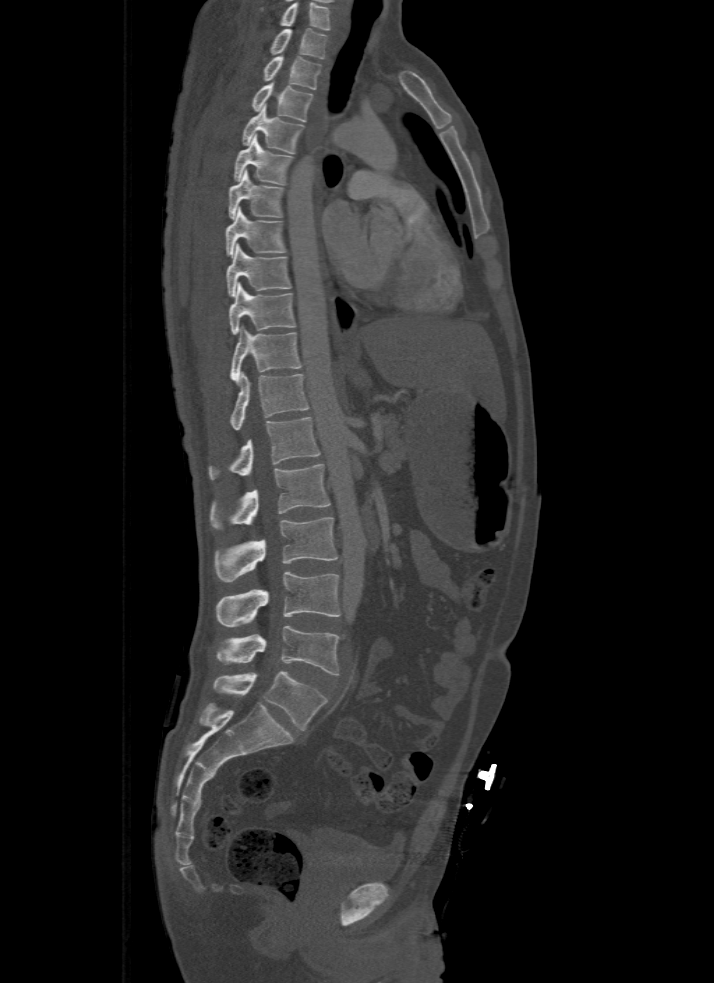 CT, spine · sagittal view · 500 mm wide · 714x983 px. Each box given as x1,y1,x2,y2.
Labels in this scan begin with T1 at the top and end with L5 at the bottom.
Vertebra bounding boxes:
- T1: x1=271, y1=29, x2=328, y2=58
- T2: x1=262, y1=55, x2=320, y2=89
- T3: x1=251, y1=82, x2=311, y2=121
- T4: x1=241, y1=105, x2=303, y2=152
- T5: x1=233, y1=135, x2=293, y2=185
- T6: x1=229, y1=168, x2=282, y2=218
- T7: x1=226, y1=206, x2=286, y2=257
- T8: x1=226, y1=243, x2=291, y2=297
- T9: x1=229, y1=282, x2=295, y2=334
- T10: x1=230, y1=326, x2=302, y2=384
- T11: x1=230, y1=372, x2=309, y2=429
- T12: x1=208, y1=418, x2=320, y2=478
- L1: x1=211, y1=463, x2=331, y2=528
- L2: x1=215, y1=518, x2=338, y2=582
- L3: x1=216, y1=572, x2=341, y2=627
- L4: x1=216, y1=626, x2=339, y2=675
- L5: x1=213, y1=672, x2=328, y2=729